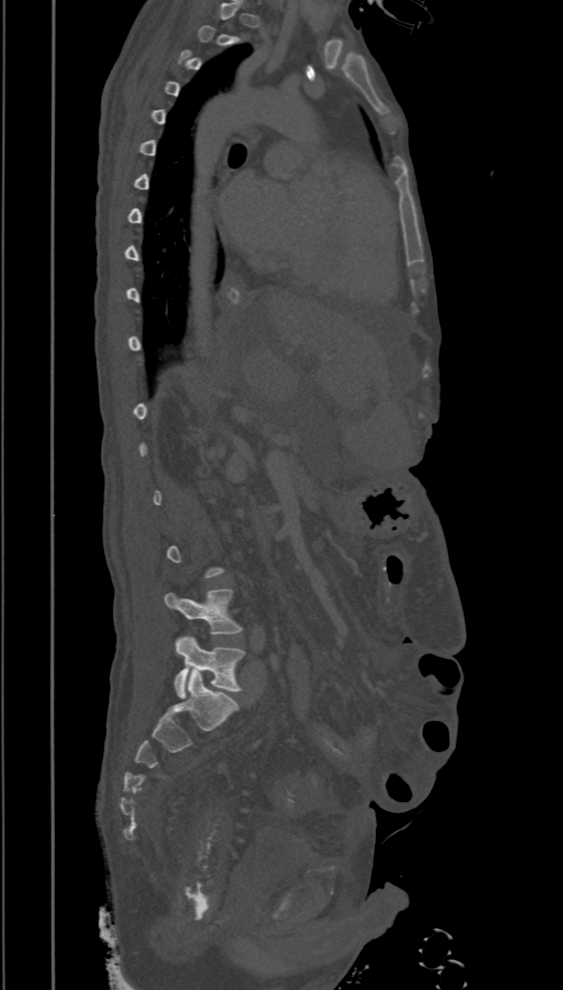

Spine computed tomography · sagittal reformat · 563x990 px
Box edges are left/top/right/bottom in pixels.
A vertebra gets a box only on the slices from the first to the last where its cross-section is at least a third of its largest; on a slice outside that range it gets none.
| vertebra | x1 | y1 | x2 | y2 |
|---|---|---|---|---|
| L5 | 174 | 635 | 245 | 698 |
| L4 | 164 | 589 | 242 | 634 |